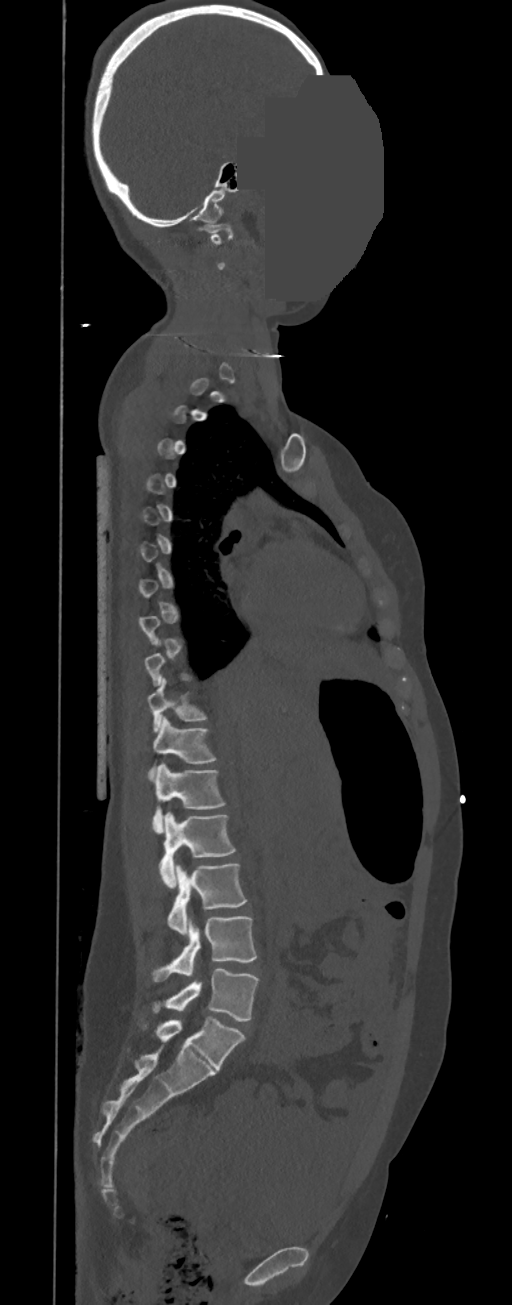

CT · 350 mm wide · sagittal view · part of the image has been replaced by a constant value

Each box given as x1,y1,x2,y2. A vertebra gets a box only on the slices from the first to the last where its cross-section is at least a third of its largest; on a slice outside that range it gets none. In these labels the thoracic vertebrae end at T11, so L1 follows T11. The labeled vertebrae in this slice are: C1 at x1=203, y1=224, x2=233, y2=244, T10 at x1=148, y1=678, x2=206, y2=732, T11 at x1=148, y1=716, x2=217, y2=777, L1 at x1=152, y1=764, x2=226, y2=834, L2 at x1=159, y1=812, x2=236, y2=888, L3 at x1=168, y1=862, x2=246, y2=934, L4 at x1=151, y1=916, x2=256, y2=981, L5 at x1=152, y1=968, x2=259, y2=1019.